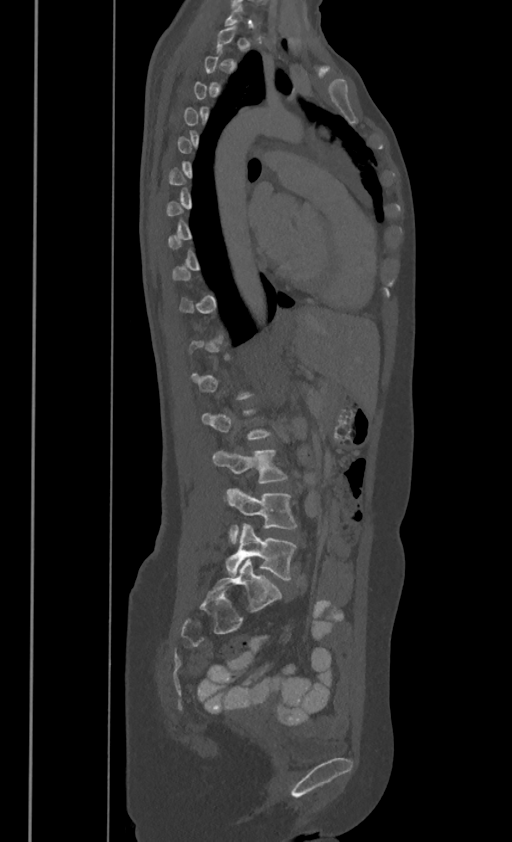

CT, spine — sagittal reformat — 512x842 px

Box edges are left/top/right/bottom in pixels.
A vertebra gets a box only on the slices from the first to the last where its cross-section is at least a third of its largest; on a slice outside that range it gets none.
L3: left=213, top=449, right=287, bottom=482
L4: left=227, top=487, right=297, bottom=543
L5: left=225, top=523, right=296, bottom=579